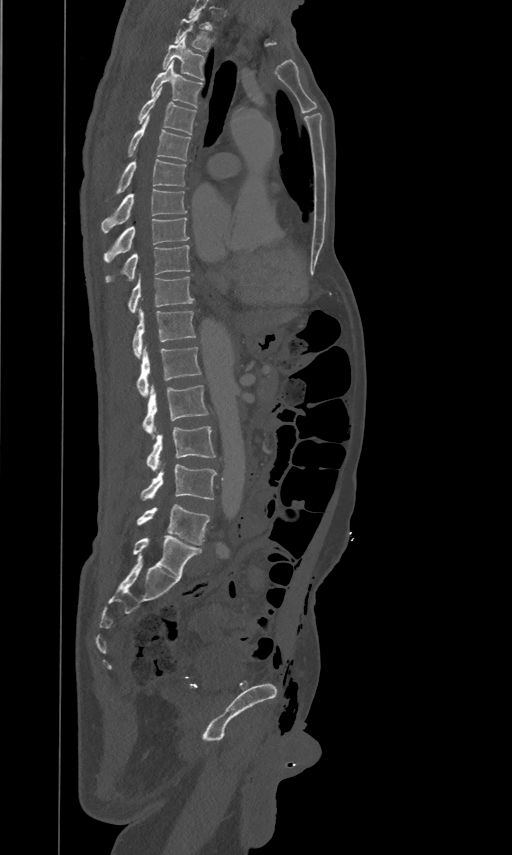 CT — sagittal view — bone window
In the table, x1 and y1 are a box's top-left corner and x2 and y2 its bottom-right corner, in pixels.
Labels in this scan begin with T2 at the top and end with L5 at the bottom.
| vertebra | x1 | y1 | x2 | y2 |
|---|---|---|---|---|
| T2 | 174 | 13 | 213 | 51 |
| T3 | 162 | 36 | 204 | 80 |
| T4 | 151 | 60 | 202 | 107 |
| T5 | 138 | 86 | 195 | 134 |
| T6 | 128 | 115 | 190 | 160 |
| T7 | 116 | 159 | 186 | 193 |
| T8 | 101 | 187 | 187 | 231 |
| T9 | 104 | 216 | 189 | 261 |
| T10 | 106 | 244 | 189 | 281 |
| T11 | 128 | 273 | 193 | 312 |
| T12 | 132 | 307 | 195 | 356 |
| L1 | 136 | 345 | 201 | 395 |
| L2 | 142 | 383 | 207 | 439 |
| L3 | 146 | 425 | 215 | 471 |
| L4 | 141 | 464 | 216 | 500 |
| L5 | 136 | 504 | 210 | 544 |